CT spine — Sagittal slice 241/512 — bone-window reconstruction — 593x528 px
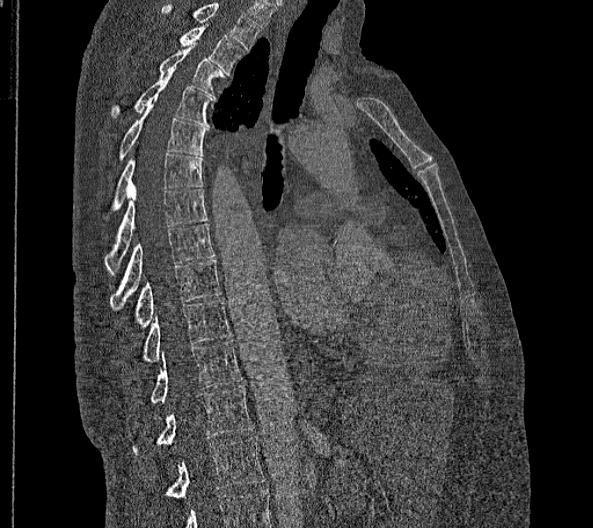
In the table, x1 and y1 are a box's top-left corner and x2 and y2 its bottom-right corner, in pixels.
The highest labeled vertebra in this scan is T2; the lowest is L2.
In these labels the spine has no T12: the thoracic vertebrae end at T11, and L1 comes next.
| vertebra | x1 | y1 | x2 | y2 |
|---|---|---|---|---|
| T2 | 178 | 27 | 245 | 74 |
| T3 | 160 | 43 | 223 | 99 |
| T4 | 110 | 73 | 211 | 126 |
| T5 | 118 | 97 | 205 | 159 |
| T6 | 104 | 153 | 202 | 236 |
| T7 | 104 | 188 | 208 | 274 |
| T8 | 110 | 223 | 216 | 310 |
| T9 | 133 | 260 | 220 | 329 |
| T10 | 141 | 298 | 231 | 362 |
| T11 | 149 | 340 | 242 | 402 |
| L1 | 132 | 385 | 254 | 456 |
| L2 | 163 | 437 | 263 | 498 |